CT, spine; sagittal view; Bone window (WL 400, WW 1800); scan covers 6 annotated vertebrae; 210 mm across the image
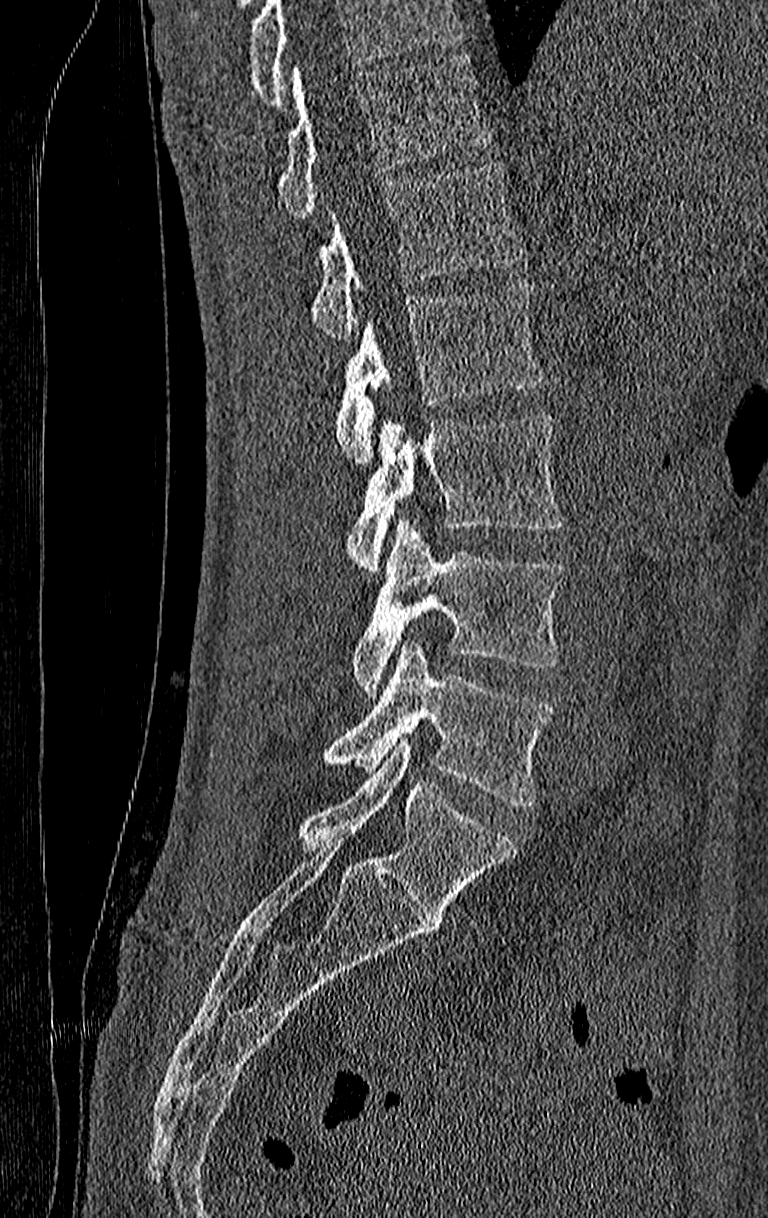
Boxes are (x1, y1, x2, y2) in pixels.
Vertebrae that run past the top of the scan are left unlabeled.
In this scan, the topmost labeled vertebra is T11 and the lowest is L4.
Vertebra bounding boxes:
- L4: (324, 640, 554, 804)
- L3: (353, 520, 565, 695)
- L2: (346, 415, 565, 570)
- L1: (335, 283, 543, 465)
- T12: (310, 161, 521, 340)
- T11: (277, 56, 491, 220)